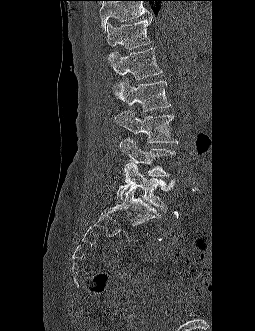 Computed tomography of the spine; sagittal view; 255x331 px
No box is given to a vertebra that the top edge of the scan cuts off.
<vertebrae><v name="L5" x1="117" y1="162" x2="175" y2="212"/><v name="L4" x1="119" y1="138" x2="175" y2="176"/><v name="L3" x1="115" y1="110" x2="177" y2="143"/><v name="L2" x1="119" y1="79" x2="171" y2="111"/><v name="L1" x1="111" y1="47" x2="162" y2="96"/><v name="T12" x1="107" y1="17" x2="152" y2="61"/></vertebrae>